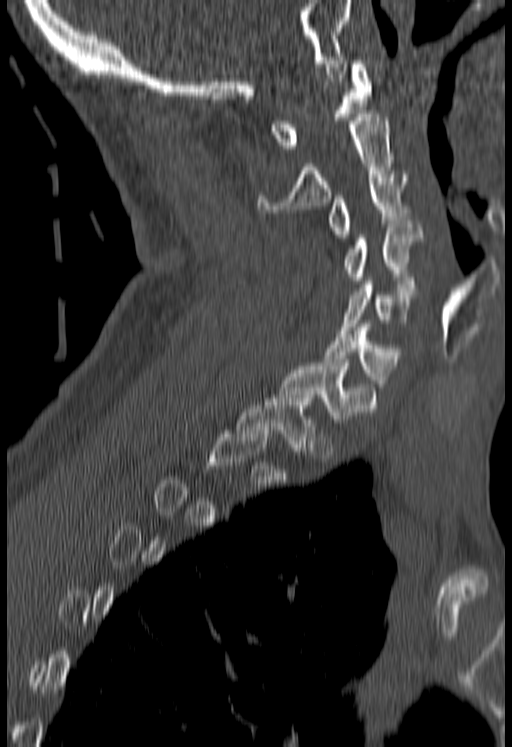
Computed tomography of the spine · sagittal view · 512x747 px

Boxes: x1:y1:x2:y2 in pixels.
A vertebra is boxed only from the first to the last slice where its cross-section is at least a third of its largest; slices outside that range leave it without a box.
Vertebra bounding boxes:
- T1: 237:395:313:454
- C7: 276:363:375:422
- C6: 325:324:404:387
- C5: 342:281:420:333
- C4: 345:220:424:283
- C3: 328:174:407:237
- C2: 257:114:392:212
- C1: 270:60:370:148